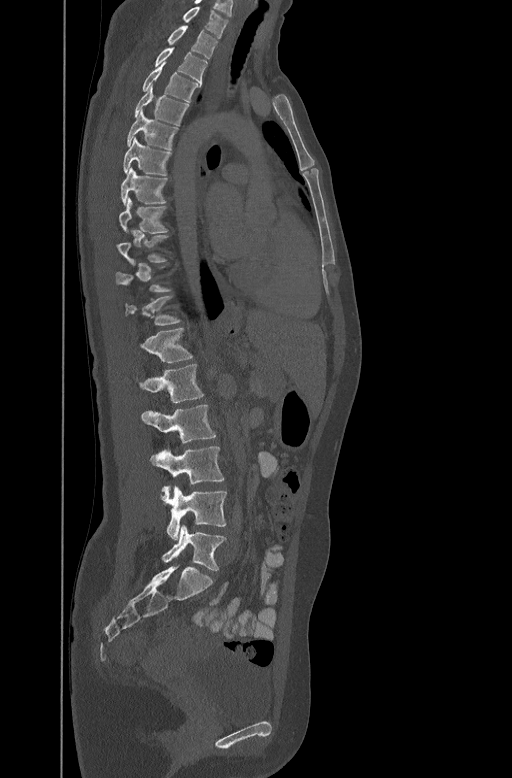
CT, spine; sagittal view; 512x778 px
Boxes are (x1, y1, x2, y2) in pixels.
A vertebra is boxed only from the first to the last slice where its cross-section is at least a third of its largest; slices outside that range leave it without a box.
L5: (161, 525, 226, 570)
L4: (160, 486, 226, 540)
L3: (150, 446, 223, 485)
L2: (142, 405, 215, 443)
L1: (135, 363, 203, 403)
T12: (141, 326, 193, 362)
T11: (125, 295, 180, 324)
T8: (119, 197, 167, 232)
T7: (120, 167, 166, 204)
T6: (122, 136, 171, 174)
T5: (127, 109, 178, 148)
T4: (134, 85, 188, 124)
T3: (142, 64, 197, 100)
T2: (155, 47, 207, 81)
T1: (168, 25, 217, 58)
C7: (183, 5, 228, 37)